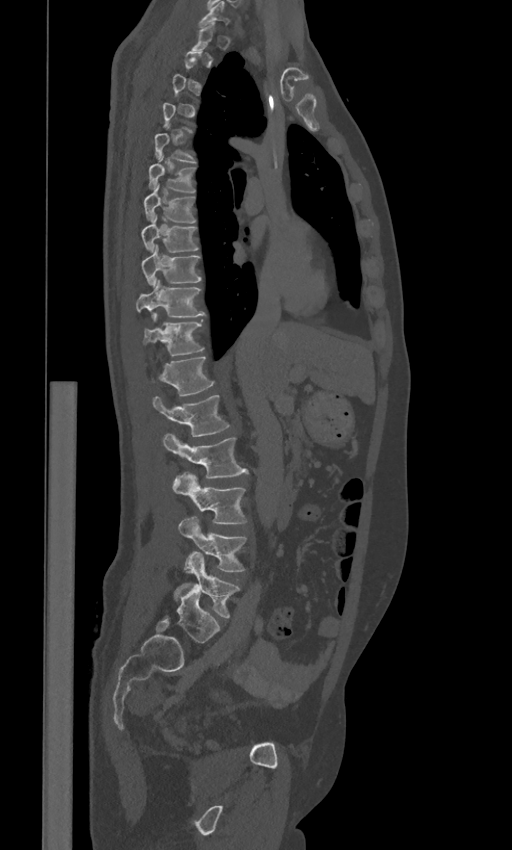

Computed tomography of the spine; image 443 mm wide; sagittal view; 512x850 px

Coordinates as <box>x1,y1,x2,y2</box>.
Not every vertebra on this slice has a box: a vertebra is boxed only from the first to the last slice where its cross-section is at least a third of its largest, and this slice is outside that range for at least one of them.
The labels name a sixth lumbar vertebra for this spine: L6, after L5.
Vertebra bounding boxes:
- L6: <box>176,585,219,642</box>
- L5: <box>174,551,239,618</box>
- L4: <box>178,516,246,571</box>
- L3: <box>172,473,246,524</box>
- L2: <box>163,434,247,477</box>
- L1: <box>152,394,229,436</box>
- T12: <box>159,357,214,395</box>
- T11: <box>144,315,203,356</box>
- T10: <box>136,280,205,317</box>
- T9: <box>141,244,201,285</box>
- T8: <box>141,215,198,252</box>
- T7: <box>143,186,195,223</box>
- T6: <box>149,156,195,192</box>
- C7: <box>199,2,229,26</box>